CT spine. sagittal reformat
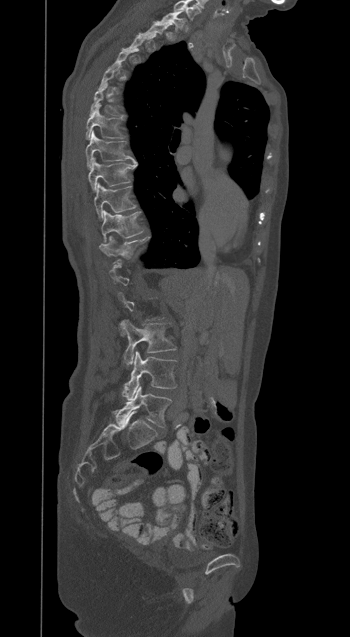 Each box given as x1,y1,x2,y2. A vertebra gets a box only on the slices from the first to the last where its cross-section is at least a third of its largest; on a slice outside that range it gets none. In this scan, the topmost labeled vertebra is T1 and the lowest is L5. 10 vertebrae labeled — T1 at x1=159, y1=11, x2=184, y2=33; T7 at x1=86, y1=104, x2=122, y2=139; T8 at x1=86, y1=132, x2=134, y2=168; T9 at x1=88, y1=157, x2=136, y2=191; T10 at x1=94, y1=184, x2=135, y2=219; T11 at x1=101, y1=210, x2=143, y2=241; T12 at x1=99, y1=237, x2=143, y2=256; L3 at x1=120, y1=320, x2=176, y2=365; L4 at x1=123, y1=351, x2=176, y2=400; L5 at x1=116, y1=386, x2=171, y2=427.